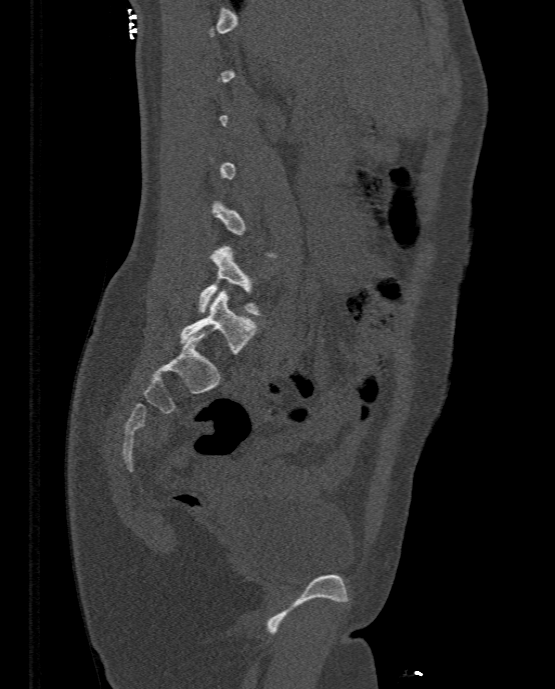

Spine computed tomography. sagittal reformat. 333 mm across the image. W/L 1800/400 HU
Each row gives a vertebra's box as x1, y1, x2, y2 in pixels: top-left corner, then bottom-right corner.
Each vertebra is boxed only on the slices from the first to the last where its cross-section reaches a third of its largest, so a slice outside that range leaves it unboxed.
| vertebra | x1 | y1 | x2 | y2 |
|---|---|---|---|---|
| L5 | 180 | 289 | 257 | 354 |
| L4 | 198 | 245 | 262 | 314 |